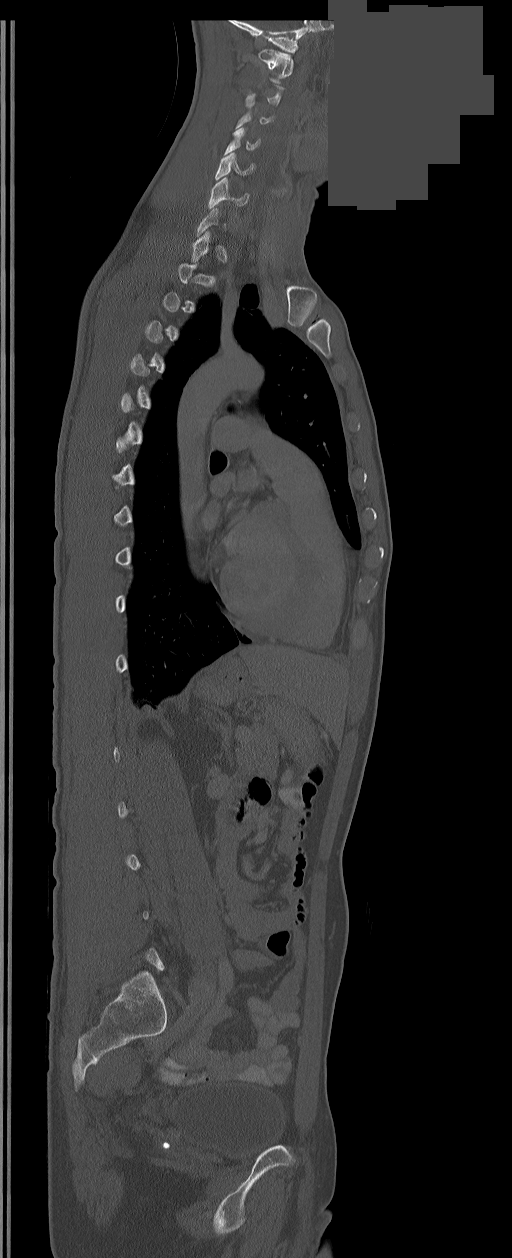
Spine computed tomography · sagittal reformat · bone-window reconstruction · image 350 mm wide · part of the image has been replaced by a constant value
Bounding boxes as [x1, y1, x2, y2] in pixel coordinates. A vertebra gets a box only on the slices from the first to the last where its cross-section is at least a third of its largest; on a slice outside that range it gets none. The labeled vertebrae in this slice are: C1 at [258, 49, 293, 83], C4 at [224, 127, 260, 154], C5 at [215, 152, 254, 179], C6 at [208, 177, 248, 208].